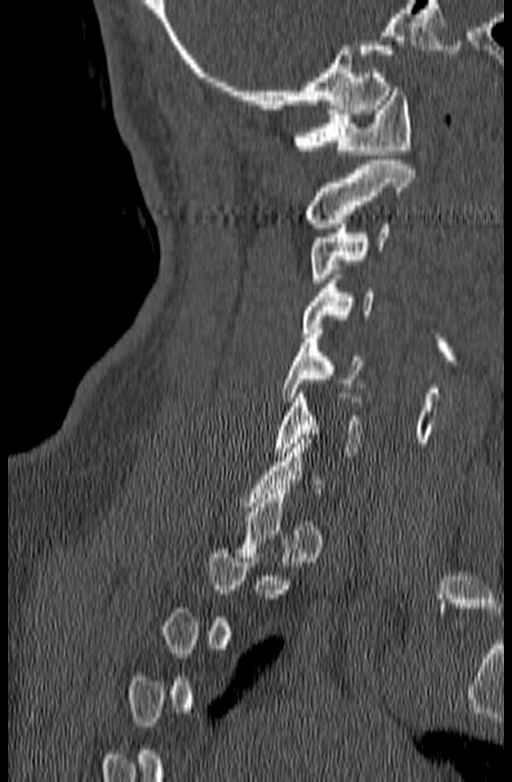
Computed tomography of the spine. sagittal view. the image spans 140 mm across. bone window. 512x782 px
Boxes are (x1, y1, x2, y2) in pixels.
Not every vertebra on this slice has a box: a vertebra is boxed only from the first to the last slice where its cross-section is at least a third of its largest, and this slice is outside that range for at least one of them.
C1: (293, 87, 411, 154)
C2: (305, 160, 415, 228)
C3: (309, 219, 389, 282)
C4: (302, 274, 373, 333)
C5: (282, 329, 364, 401)
C6: (274, 389, 363, 456)